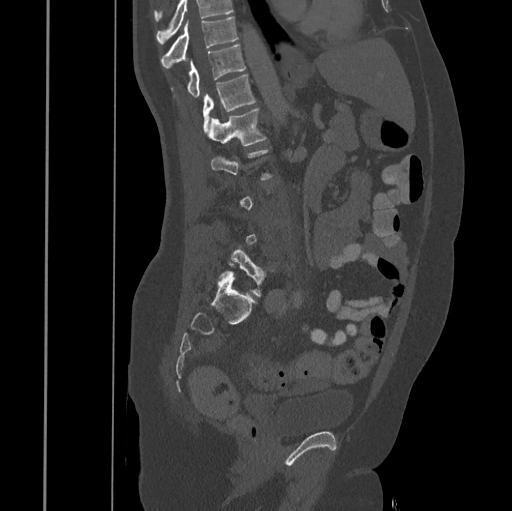 CT, spine — sagittal view
Each vertebra maps to its box as [x1, y1, x2, y2], the pixel coordinates of its top-left and bottom-right corners.
Not every vertebra on this slice has a box: a vertebra is boxed only from the first to the last slice where its cross-section is at least a third of its largest, and this slice is outside that range for at least one of them.
No box is given to a vertebra that the top edge of the scan cuts off.
{"vertebrae":{"L5":[220,249,273,297],"L1":[207,108,267,146],"T12":[203,74,255,133],"T11":[170,45,245,97],"T10":[161,17,238,67]}}